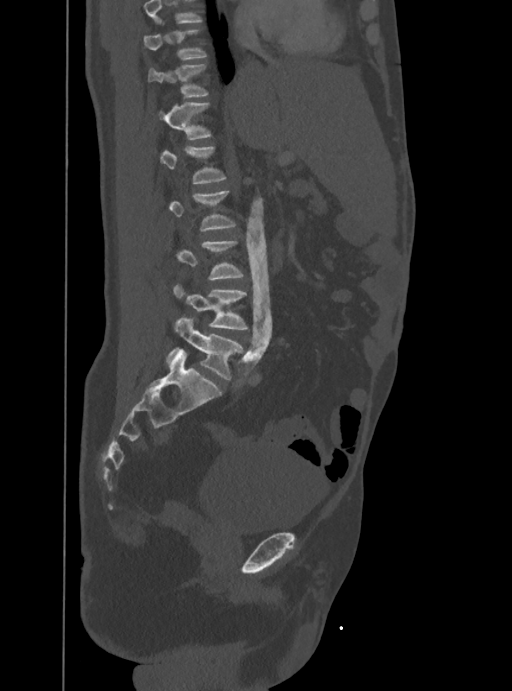

Computed tomography of the spine — sagittal reformat — bone-window reconstruction — image 388 mm wide
Coordinates as <box>x1,y1,x2,y2</box>.
Not every vertebra on this slice has a box: a vertebra is boxed only from the first to the last slice where its cross-section is at least a third of its largest, and this slice is outside that range for at least one of them.
Vertebrae that run past the top of the scan are left unlabeled.
T10: <box>144,30,206,60</box>
T11: <box>148,64,207,96</box>
T12: <box>159,103,211,139</box>
L1: <box>160,146,226,183</box>
L4: <box>174,285,247,329</box>
L5: <box>167,317,243,379</box>